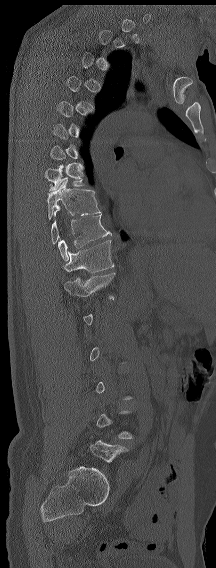

CT, spine · sagittal reformat · W/L 1800/400 HU · 216x568 px

Boxes are given in columns x1, y1, x2, y2, the pixel coordinates of their top-left and bottom-right corners.
A vertebra gets a box only on the slices from the first to the last where its cross-section is at least a third of its largest; on a slice outside that range it gets none.
The labels name a sixth lumbar vertebra for this spine: L6, after L5.
| vertebra | x1 | y1 | x2 | y2 |
|---|---|---|---|---|
| T8 | 45 | 165 | 87 | 191 |
| T9 | 47 | 177 | 100 | 219 |
| T11 | 58 | 214 | 111 | 260 |
| T12 | 61 | 240 | 114 | 272 |
| L1 | 64 | 272 | 115 | 299 |
| L6 | 90 | 440 | 128 | 462 |